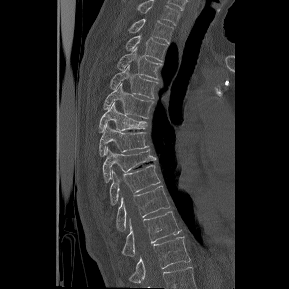

Spine computed tomography. sagittal reformat. image width 289 mm
Bounding boxes as [x1, y1, x2, y2] in pixel coordinates.
The highest labeled vertebra in this scan is T1; the lowest is T12.
T1: [129, 19, 173, 43]
T2: [125, 35, 168, 60]
T3: [116, 48, 162, 79]
T4: [110, 65, 158, 98]
T5: [104, 84, 154, 118]
T6: [99, 103, 148, 132]
T7: [99, 125, 149, 156]
T8: [103, 147, 157, 182]
T9: [109, 164, 161, 204]
T10: [116, 185, 170, 230]
T11: [122, 211, 181, 256]
T12: [129, 237, 190, 283]